Computed tomography of the spine; sagittal plane, index 85; 6 vertebrae labeled in this scan
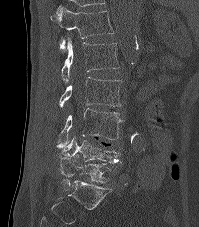
<vertebrae><v name="T12" x1="50" y1="7" x2="113" y2="52"/><v name="L1" x1="61" y1="38" x2="119" y2="82"/><v name="L2" x1="59" y1="77" x2="121" y2="107"/><v name="L3" x1="55" y1="108" x2="121" y2="149"/><v name="L4" x1="61" y1="137" x2="123" y2="164"/><v name="L5" x1="59" y1="158" x2="110" y2="190"/></vertebrae>